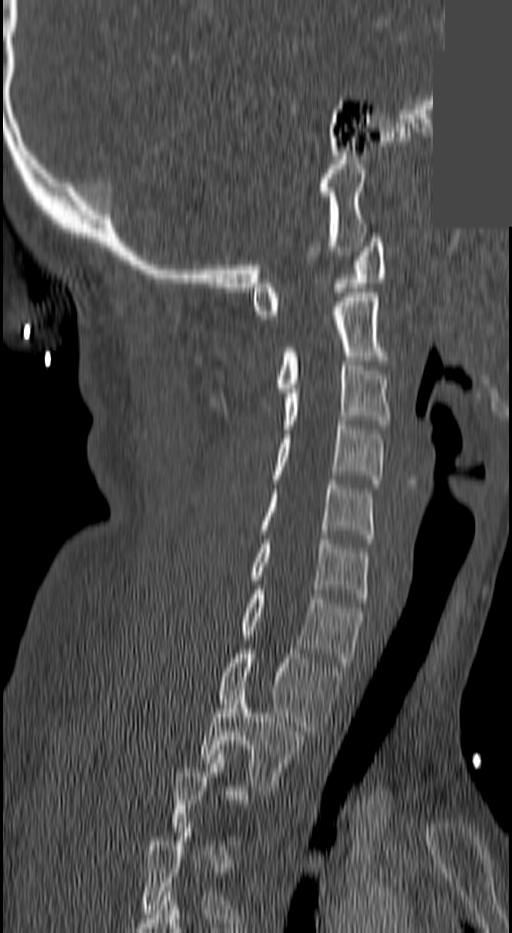 CT spine — sagittal reformat — a region is masked with a constant gray value
A vertebra is boxed only from the first to the last slice where its cross-section is at least a third of its largest; slices outside that range leave it without a box.
<vertebrae><v name="C1" x1="250" y1="238" x2="384" y2="319"/><v name="C2" x1="276" y1="293" x2="388" y2="392"/><v name="C3" x1="281" y1="361" x2="392" y2="429"/><v name="C4" x1="272" y1="421" x2="384" y2="484"/><v name="C5" x1="257" y1="480" x2="373" y2="543"/><v name="C6" x1="250" y1="539" x2="370" y2="602"/><v name="C7" x1="239" y1="590" x2="362" y2="666"/><v name="T1" x1="217" y1="649" x2="340" y2="735"/><v name="T2" x1="199" y1="690" x2="303" y2="794"/></vertebrae>